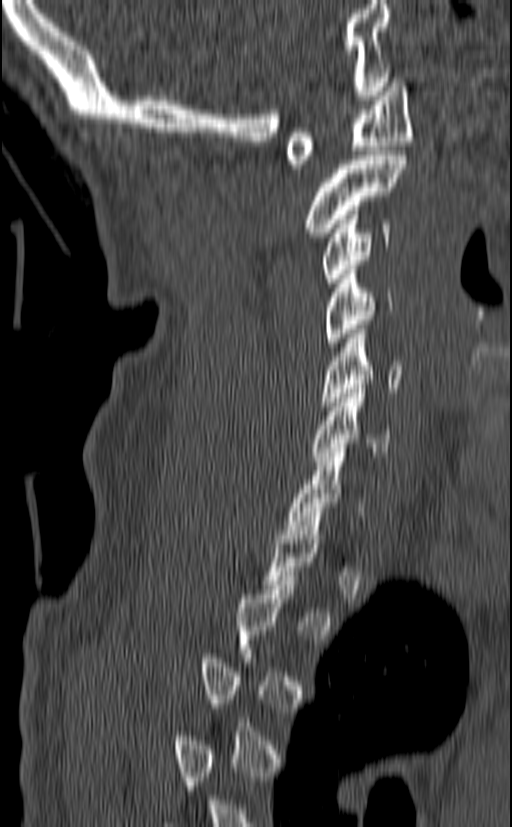

Computed tomography of the spine — sagittal reformat — 140 mm image width
Boxes below are [x1, y1, x2, y2] in pixels.
A vertebra is boxed only from the first to the last slice where its cross-section is at least a third of its largest; slices outside that range leave it without a box.
{"vertebrae":{"C1":[286,78,412,168],"C2":[305,151,406,237],"C3":[322,206,390,287],"C4":[323,265,393,346],"C5":[320,325,403,406],"C6":[311,389,392,461],"C7":[285,448,363,534]}}